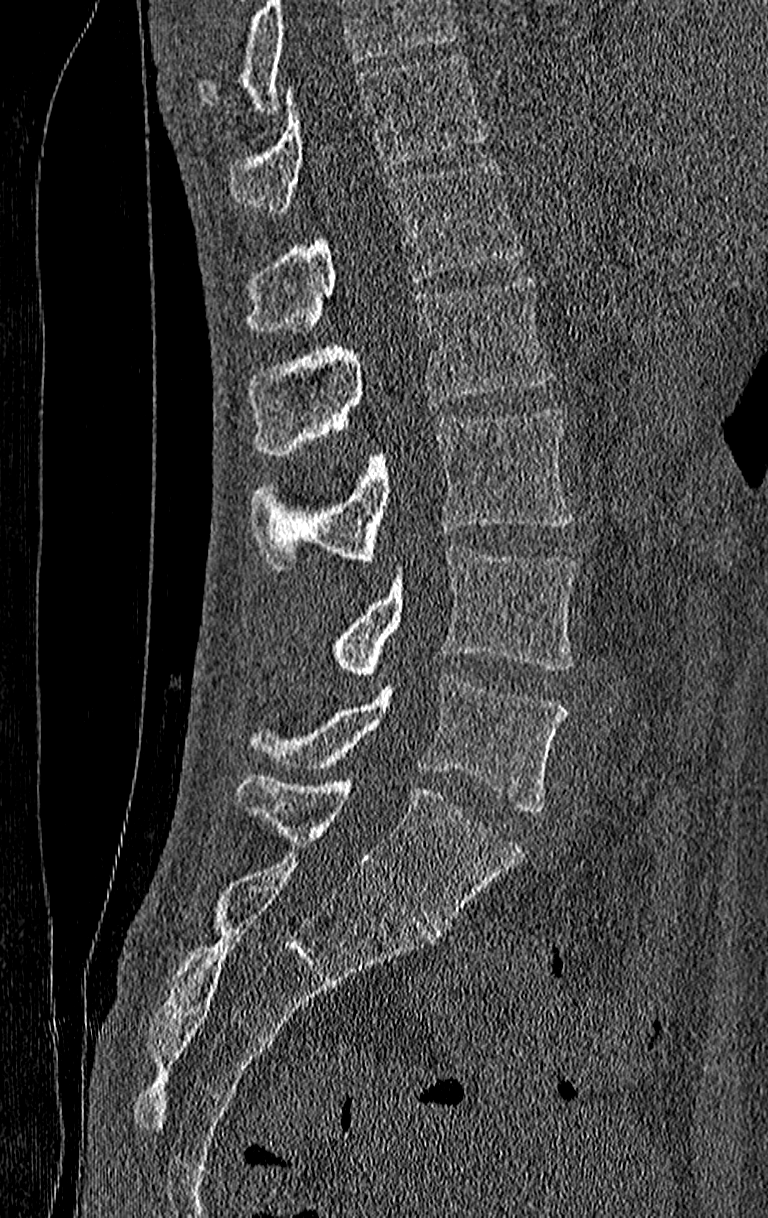

Computed tomography of the spine. the image is 210 mm wide. sagittal view
Each box given as x1,y1,x2,y2.
No box is given to a vertebra that the top edge of the scan cuts off.
In this scan, the topmost labeled vertebra is T11 and the lowest is L4.
Vertebra bounding boxes:
- T11: x1=229, y1=53, x2=488, y2=211
- T12: x1=247, y1=158, x2=524, y2=333
- L1: x1=247, y1=278, x2=554, y2=457
- L2: x1=251, y1=410, x2=575, y2=570
- L3: x1=331, y1=546, x2=579, y2=677
- L4: x1=247, y1=673, x2=568, y2=812